CT spine; sagittal plane, index 221; bone-window reconstruction; the image is 417 mm wide
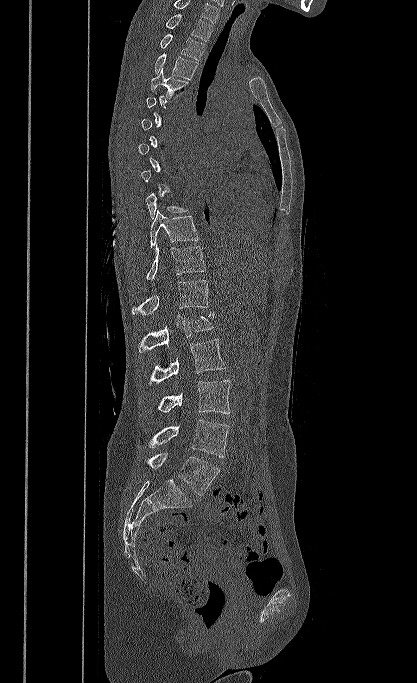
Boxes are (x1, y1, x2, y2) in pixels. A vertebra gets a box only on the slices from the first to the last where its cross-section is at least a third of its largest; on a slice outside that range it gets none. In this scan, the topmost labeled vertebra is T1 and the lowest is L5. Vertebrae labeled: L5 at (144, 453, 219, 495), L4 at (147, 420, 229, 457), L3 at (157, 380, 230, 414), L2 at (148, 338, 225, 385), L1 at (137, 313, 213, 352), T12 at (132, 280, 208, 314), T11 at (146, 245, 206, 280), T10 at (150, 210, 198, 248), T4 at (151, 67, 189, 98), T3 at (154, 53, 198, 79), T2 at (159, 34, 204, 60), T1 at (165, 14, 212, 41).